CT · sagittal plane, index 33 · bone window · 196x196 px
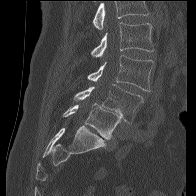

Where the top of the scan cuts through a vertebra, that vertebra gets no label or box.
<vertebrae><v name="L5" x1="63" y1="103" x2="122" y2="139"/><v name="L4" x1="73" y1="84" x2="143" y2="123"/><v name="L3" x1="87" y1="55" x2="154" y2="91"/><v name="L2" x1="91" y1="22" x2="154" y2="57"/></vertebrae>